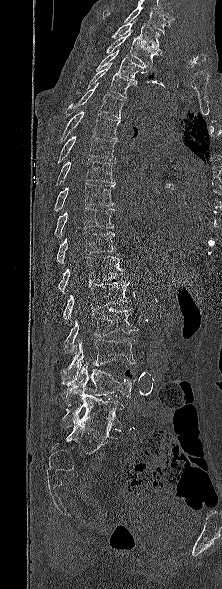
Computed tomography of the spine. sagittal view. Bone window (WL 400, WW 1800). Coordinates as <box>x1,y1,x2,y2</box>.
The highest labeled vertebra in this scan is T1; the lowest is L5.
T1: <box>111,23,161,53</box>
T2: <box>106,33,158,69</box>
T3: <box>95,49,151,83</box>
T4: <box>88,63,137,98</box>
T5: <box>65,84,125,118</box>
T6: <box>60,111,120,142</box>
T7: <box>57,135,115,163</box>
T8: <box>56,159,114,185</box>
T9: <box>53,183,115,211</box>
T10: <box>54,207,114,237</box>
T11: <box>56,231,117,263</box>
T12: <box>58,256,123,292</box>
L1: <box>63,281,131,324</box>
L2: <box>65,308,137,355</box>
L3: <box>60,338,135,386</box>
L4: <box>64,363,136,406</box>
L5: <box>61,393,123,431</box>